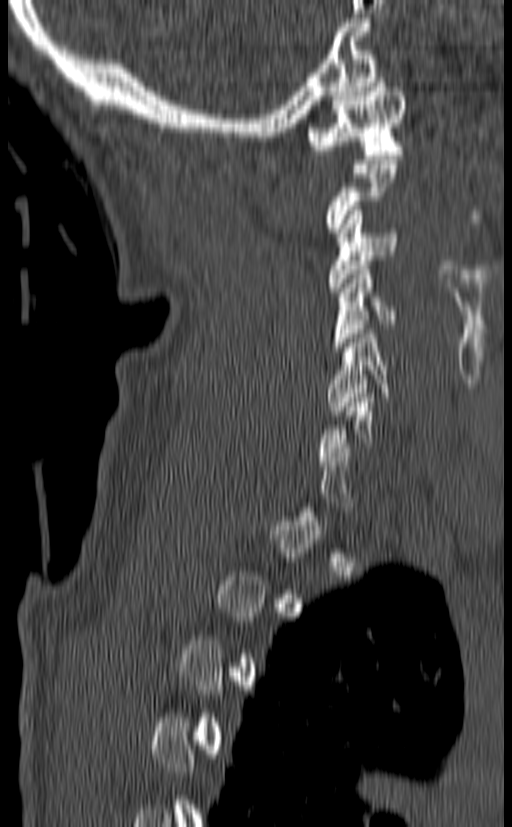

Computed tomography of the spine — sagittal view — W/L 1800/400 HU — image width 140 mm. Each box given as x1,y1,x2,y2. A vertebra is boxed only from the first to the last slice where its cross-section is at least a third of its largest; slices outside that range leave it without a box. 4 vertebrae labeled — C1 at x1=305, y1=78, x2=406, y2=159; C3 at x1=328, y1=206, x2=397, y2=292; C4 at x1=330, y1=265, x2=397, y2=351; C5 at x1=327, y1=329, x2=389, y2=415.